Spine computed tomography; sagittal view; bone-window reconstruction; part of the scan has been removed (filled with constant black)
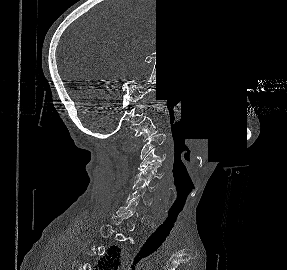 Each box is [x1, y1, x2, y2] in pixels: top-left corner, then bottom-right corner.
Each vertebra is boxed only on the slices from the first to the last where its cross-section reaches a third of its largest, so a slice outside that range leaves it unboxed.
{"vertebrae":{"C1":[130,116,157,141],"C2":[140,133,165,159],"C3":[138,148,165,170],"C4":[136,162,164,179],"C5":[132,178,157,191],"C6":[126,187,152,216]}}